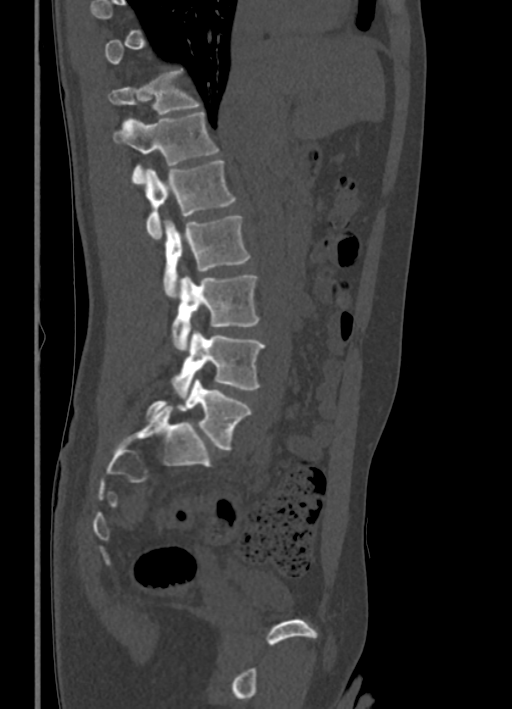

CT — sagittal view

Each box given as x1,y1,x2,y2.
A vertebra gets a box only on the slices from the first to the last where its cross-section is at least a third of its largest; on a slice outside that range it gets none.
Vertebra bounding boxes:
- T11: x1=108, y1=70, x2=200, y2=115
- T12: x1=113, y1=111, x2=218, y2=183
- L1: x1=146, y1=160, x2=235, y2=238
- L2: x1=163, y1=215, x2=250, y2=298
- L3: x1=172, y1=274, x2=259, y2=351
- L4: x1=170, y1=331, x2=266, y2=398
- L5: x1=145, y1=379, x2=252, y2=450